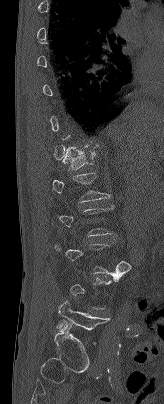

CT. sagittal view. image 164 mm wide
Coordinates as <box>x1,y1,x2,y2</box>.
A vertebra gets a box only on the slices from the first to the last where its cross-section is at least a third of its largest; on a slice outside that range it gets none.
Vertebra bounding boxes:
- T12: <box>62,145,98,169</box>
- L1: <box>52,173,110,202</box>
- L5: <box>57,301,109,331</box>